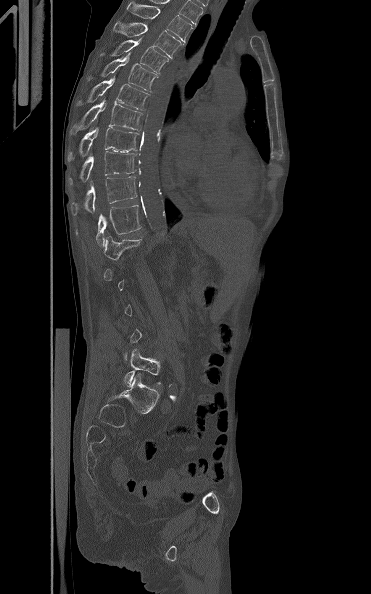 CT spine · sagittal view
Boxes are (x1, y1, x2, y2) in pixels.
A vertebra gets a box only on the slices from the first to the last where its cross-section is at least a third of its largest; on a slice outside that range it gets none.
T3: (126, 0, 191, 42)
T4: (113, 21, 184, 58)
T5: (98, 38, 169, 73)
T6: (86, 52, 157, 92)
T7: (77, 76, 149, 109)
T8: (71, 98, 142, 134)
T9: (68, 127, 140, 160)
T10: (71, 151, 137, 184)
T11: (70, 176, 137, 214)
T12: (76, 205, 141, 246)
L1: (104, 236, 142, 260)
L5: (124, 349, 161, 386)